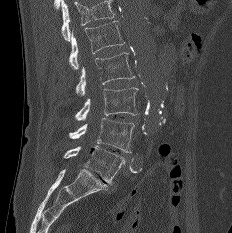
CT, spine · sagittal view · 232x233 px
No box is given to a vertebra that the top edge of the scan cuts off.
<vertebrae><v name="L1" x1="69" y1="21" x2="124" y2="69"/><v name="L2" x1="76" y1="52" x2="134" y2="96"/><v name="L3" x1="75" y1="87" x2="138" y2="120"/><v name="L4" x1="69" y1="118" x2="134" y2="153"/><v name="L5" x1="64" y1="145" x2="125" y2="184"/></vertebrae>